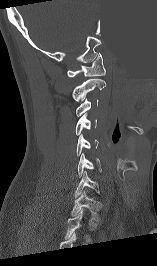 CT, spine. sagittal view. 157x266 px. a region is masked with a constant gray value
Each vertebra maps to its box as [x1, y1, x2, y2], the pixel coordinates of its top-left and bottom-right corners.
In this scan, the topmost labeled vertebra is C1 and the lowest is T1.
{"vertebrae":{"C1":[67,53,105,77],"C2":[72,78,105,101],"C3":[76,98,98,116],"C4":[75,112,96,135],"C5":[77,134,98,155],"C6":[78,153,101,177],"C7":[74,171,99,197],"T1":[71,191,101,221]}}